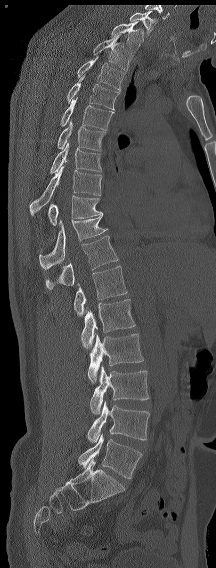 Computed tomography of the spine. sagittal reformat. Bone window (WL 400, WW 1800). 216x568 px

Boxes: x1 y1 x2 y2 (pixel coords, space-separated). The highest labeled vertebra in this scan is C7; the lowest is L6. In these labels the spine has an L6, a sixth lumbar vertebra below L5. 18 vertebrae labeled — C7 at 129 11 157 34; T1 at 111 21 143 52; T2 at 93 35 131 71; T3 at 77 56 124 91; T4 at 66 76 119 109; T5 at 60 97 114 130; T6 at 57 119 106 150; T7 at 50 143 101 173; T8 at 29 166 101 215; T9 at 48 195 102 225; T11 at 39 214 108 269; T12 at 45 236 118 289; L1 at 74 265 127 316; L2 at 81 299 135 350; L3 at 88 333 143 383; L4 at 90 365 149 414; L5 at 86 401 149 443; L6 at 78 433 142 479.